Spine CT. sagittal view. scan covers 9 annotated vertebrae. 281 mm across the image. part of the scan has been removed (filled with constant black)
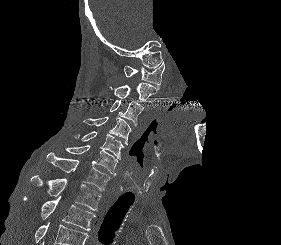
Boxes are (x1, y1, x2, y2) in pixels.
A vertebra cut off by the bottom edge of the scan is not labeled and has no box.
Vertebra bounding boxes:
- C1: (124, 61, 164, 89)
- C2: (109, 83, 157, 101)
- C3: (109, 100, 143, 125)
- C4: (83, 116, 131, 145)
- C5: (74, 131, 123, 159)
- C6: (65, 145, 118, 175)
- C7: (46, 152, 112, 190)
- T1: (30, 175, 101, 210)
- T2: (23, 196, 95, 230)